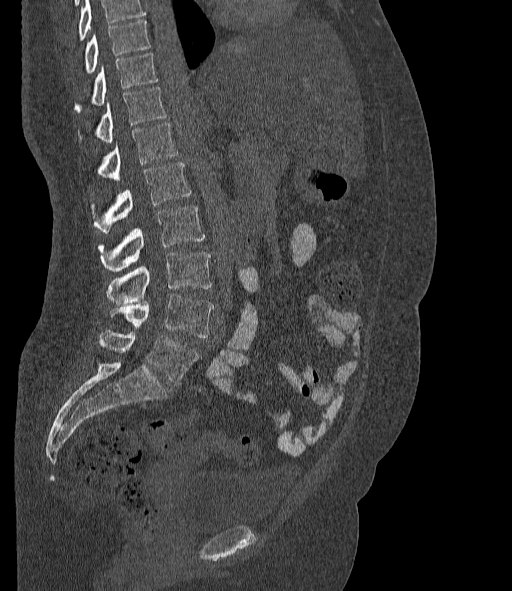 Spine CT; 377 mm across the image; sagittal view; 512x591 px
Vertebrae that run past the top of the scan are left unlabeled.
In these labels the spine has an L6, a sixth lumbar vertebra below L5.
<vertebrae><v name="L6" x1="98" y1="330" x2="198" y2="383"/><v name="L5" x1="107" y1="295" x2="213" y2="337"/><v name="L4" x1="106" y1="253" x2="211" y2="303"/><v name="L3" x1="98" y1="205" x2="204" y2="271"/><v name="L2" x1="91" y1="163" x2="190" y2="233"/><v name="L1" x1="95" y1="122" x2="178" y2="180"/><v name="T12" x1="77" y1="87" x2="167" y2="143"/><v name="T11" x1="73" y1="53" x2="158" y2="112"/><v name="T10" x1="84" y1="19" x2="150" y2="74"/></vertebrae>